CT, spine · 399 mm wide · sagittal view · scan covers 17 annotated vertebrae
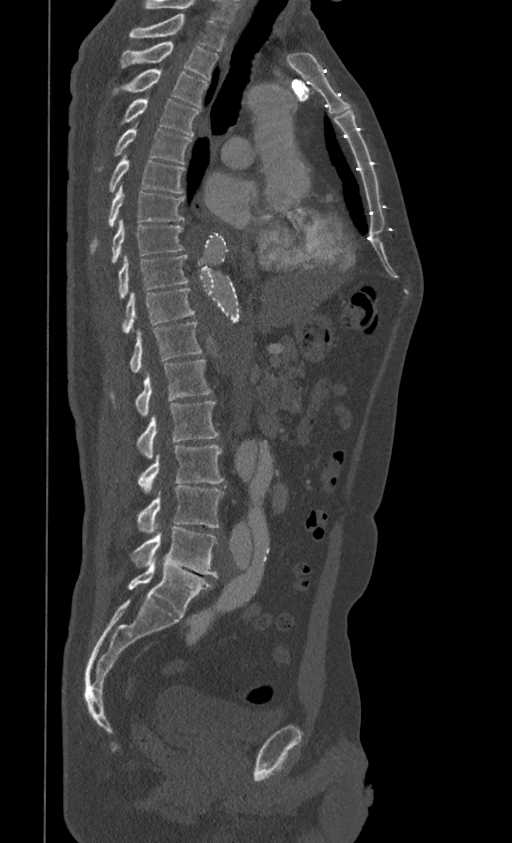
Coordinates as <box>x1,y1,x2,y2</box>.
The highest labeled vertebra in this scan is T1; the lowest is L5.
Vertebra bounding boxes:
- T1: <box>129,14,227,50</box>
- T2: <box>119,42,218,80</box>
- T3: <box>111,69,208,108</box>
- T4: <box>119,99,199,136</box>
- T5: <box>96,128,191,171</box>
- T6: <box>108,155,185,193</box>
- T7: <box>90,186,184,254</box>
- T8: <box>110,219,184,263</box>
- T9: <box>118,254,189,298</box>
- T10: <box>120,288,195,334</box>
- T11: <box>128,322,202,372</box>
- T12: <box>109,359,212,415</box>
- L1: <box>136,401,218,457</box>
- L2: <box>137,446,223,492</box>
- L3: <box>136,485,225,533</box>
- L4: <box>131,527,217,576</box>
- L5: <box>128,561,212,616</box>